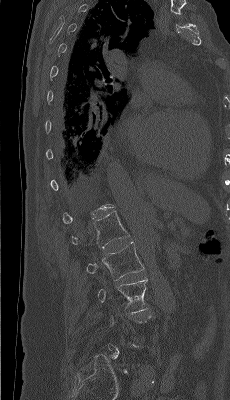
CT, spine; sagittal view; the image is 230 mm wide

Bounding boxes as [x1, y1, x2, y2] in pixel coordinates. Each vertebra is boxed only on the slices from the first to the last where its cross-section reaches a third of its largest, so a slice outside that range leaves it unboxed. Vertebrae labeled: L1 at [71, 210, 129, 250], L2 at [86, 242, 144, 280], L3 at [97, 278, 147, 312].